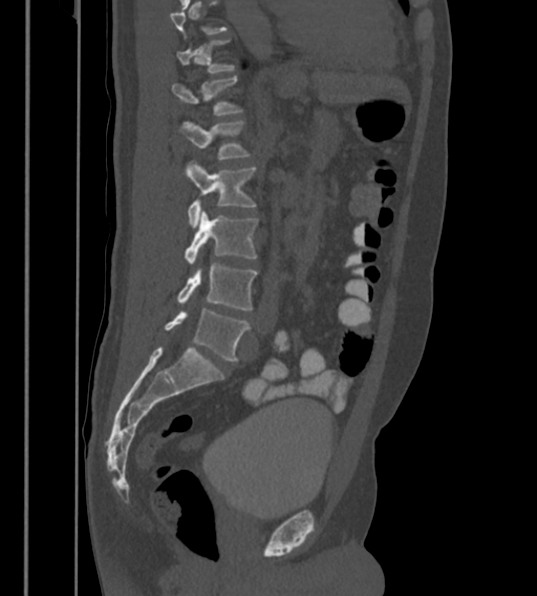

Spine computed tomography — sagittal view — 537x596 px
A vertebra gets a box only on the slices from the first to the last where its cross-section is at least a third of its largest; on a slice outside that range it gets none.
In these labels the spine has an L6, a sixth lumbar vertebra below L5.
<vertebrae><v name="L1" x1="172" y1="76" x2="240" y2="115"/><v name="L2" x1="178" y1="121" x2="248" y2="159"/><v name="L3" x1="186" y1="161" x2="255" y2="228"/><v name="L4" x1="185" y1="209" x2="258" y2="265"/><v name="L5" x1="177" y1="265" x2="258" y2="310"/><v name="L6" x1="165" y1="309" x2="250" y2="360"/></vertebrae>